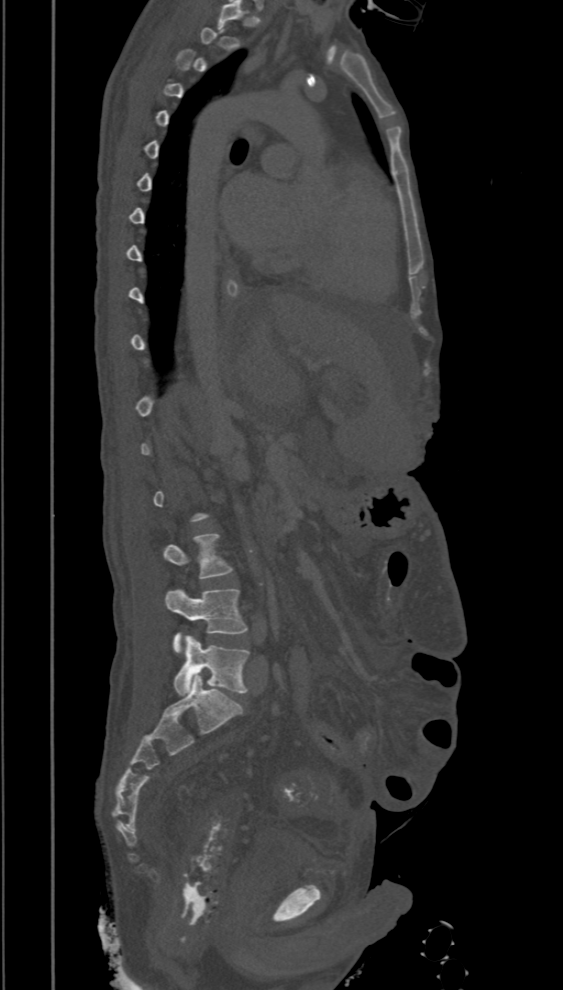 Spine CT; sagittal view

Boxes: x1 y1 x2 y2 (pixel coords, space-separated). A vertebra is boxed only from the first to the last slice where its cross-section is at least a third of its largest; slices outside that range leave it without a box. The labeled vertebrae in this slice are: L5 at 174 635 250 695, L4 at 164 589 247 652, L3 at 163 533 233 578.